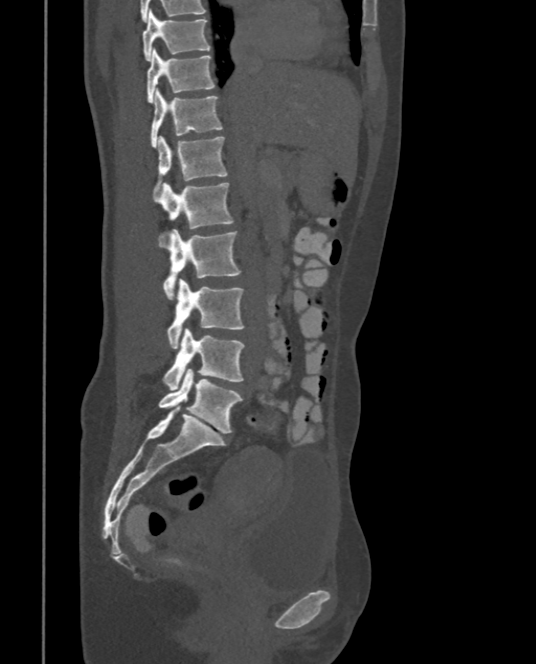 Spine computed tomography — sagittal view — 536x664 px

Boxes: x1:y1:x2:y2 in pixels.
T9: 142:10:210:61
T10: 146:48:215:103
T11: 150:88:222:147
T12: 154:136:227:199
L1: 160:183:233:229
L2: 162:228:241:299
L3: 167:278:245:347
L4: 164:328:245:389
L5: 158:368:242:433